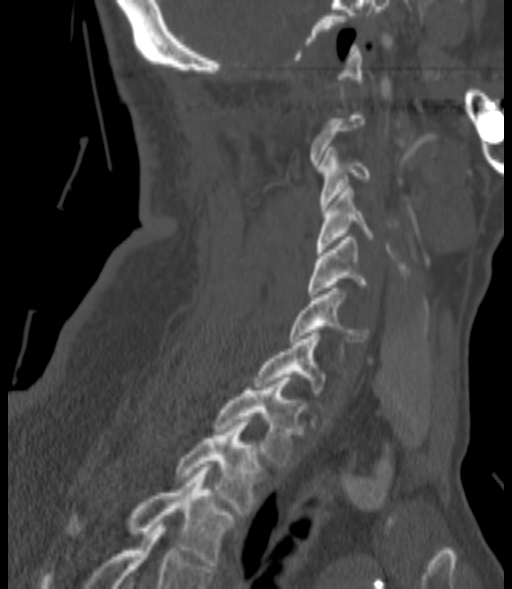
Spine computed tomography — sagittal view — 512x589 px
Boxes: x1:y1:x2:y2 in pixels.
Not every vertebra on this slice has a box: a vertebra is boxed only from the first to the last slice where its cross-section is at least a third of its largest, and this slice is outside that range for at least one of them.
Vertebra bounding boxes:
- C3: 318:147:371:210
- C4: 316:186:374:252
- C5: 308:237:368:297
- C6: 290:288:368:341
- C7: 254:330:325:396
- T1: 213:378:302:466
- T2: 175:422:263:517
- T3: 67:467:235:565